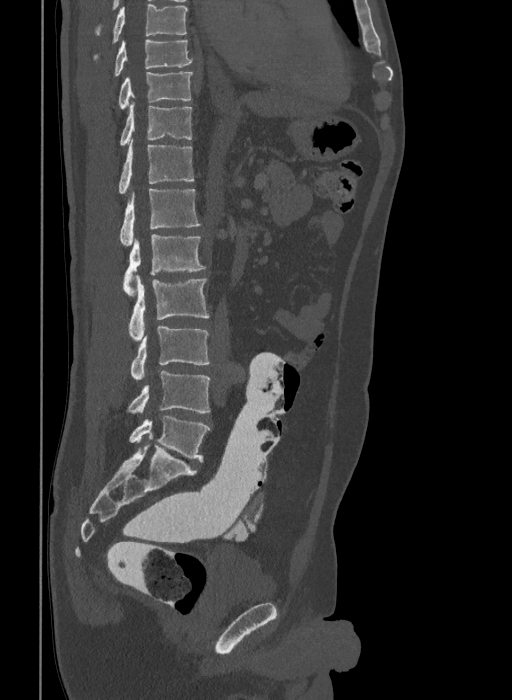

CT, spine — sagittal view — W/L 1800/400 HU
The highest labeled vertebra in this scan is T9; the lowest is L6.
These labels give the spine a sixth lumbar vertebra, L6, below L5.
<vertebrae><v name="T9" x1="114" y1="39" x2="192" y2="77"/><v name="T10" x1="119" y1="71" x2="193" y2="109"/><v name="T11" x1="120" y1="103" x2="192" y2="145"/><v name="T12" x1="119" y1="139" x2="194" y2="193"/><v name="L1" x1="120" y1="189" x2="200" y2="246"/><v name="L2" x1="123" y1="234" x2="205" y2="295"/><v name="L3" x1="129" y1="275" x2="209" y2="340"/><v name="L4" x1="130" y1="326" x2="210" y2="380"/><v name="L5" x1="128" y1="371" x2="210" y2="414"/><v name="L6" x1="129" y1="416" x2="210" y2="462"/></vertebrae>